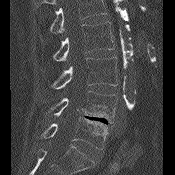
CT · sagittal view · 175x175 px

Boxes below are [x1, y1, x2, y2] in pixels.
A vertebra cut off by the top edge of the scan is not labeled and has no box.
{"vertebrae":{"L2":[53,21,113,60],"L3":[50,57,117,89],"L4":[45,91,117,123],"L5":[41,117,108,149]}}